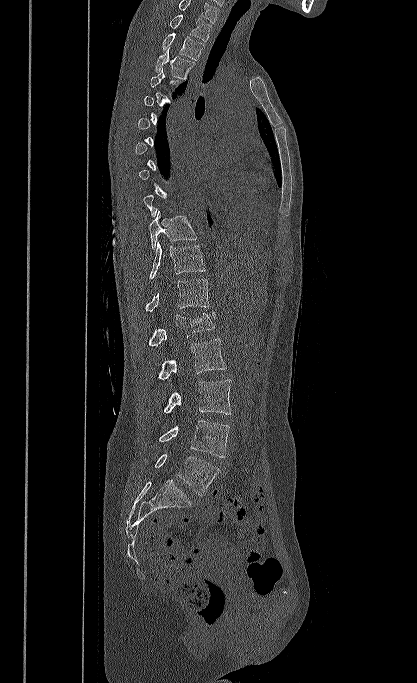

CT · sagittal view · image width 417 mm. Each box given as x1,y1,x2,y2.
Each vertebra is boxed only on the slices from the first to the last where its cross-section reaches a third of its largest, so a slice outside that range leaves it unboxed.
The highest labeled vertebra in this scan is T1; the lowest is L5.
| vertebra | x1 | y1 | x2 | y2 |
|---|---|---|---|---|
| T1 | 169 | 14 | 211 | 41 |
| T2 | 162 | 33 | 203 | 60 |
| T3 | 155 | 47 | 195 | 80 |
| T10 | 149 | 210 | 197 | 250 |
| T11 | 149 | 241 | 205 | 279 |
| T12 | 145 | 279 | 209 | 312 |
| L1 | 148 | 312 | 215 | 346 |
| L2 | 157 | 338 | 226 | 379 |
| L3 | 164 | 380 | 231 | 414 |
| L4 | 159 | 420 | 229 | 457 |
| L5 | 155 | 454 | 219 | 495 |